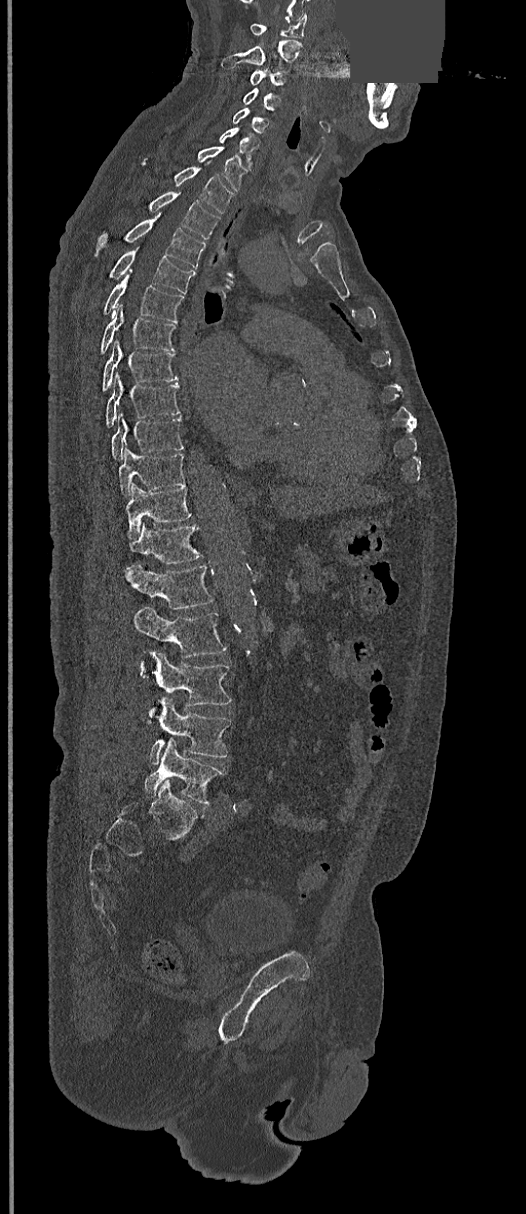 CT spine; sagittal view; 526x1214 px; image width 368 mm; a region of this slice is masked with a uniform fill
<vertebrae><v name="L5" x1="144" y1="739" x2="225" y2="805"/><v name="L4" x1="148" y1="697" x2="230" y2="765"/><v name="L3" x1="148" y1="651" x2="232" y2="723"/><v name="L2" x1="132" y1="607" x2="226" y2="676"/><v name="L1" x1="125" y1="564" x2="213" y2="610"/><v name="T12" x1="129" y1="521" x2="201" y2="565"/><v name="T11" x1="125" y1="484" x2="192" y2="539"/><v name="T10" x1="118" y1="447" x2="185" y2="496"/><v name="T9" x1="111" y1="413" x2="183" y2="460"/><v name="T8" x1="104" y1="373" x2="180" y2="428"/><v name="T7" x1="102" y1="340" x2="178" y2="392"/><v name="T6" x1="99" y1="306" x2="176" y2="355"/><v name="T5" x1="103" y1="269" x2="185" y2="322"/><v name="T4" x1="109" y1="250" x2="194" y2="293"/><v name="T3" x1="94" y1="214" x2="206" y2="268"/><v name="T2" x1="148" y1="191" x2="220" y2="239"/><v name="T1" x1="171" y1="167" x2="233" y2="213"/><v name="C7" x1="197" y1="147" x2="244" y2="190"/><v name="C6" x1="219" y1="127" x2="259" y2="168"/><v name="C5" x1="231" y1="107" x2="270" y2="133"/><v name="C4" x1="242" y1="89" x2="280" y2="110"/><v name="C3" x1="250" y1="69" x2="285" y2="88"/><v name="C2" x1="221" y1="40" x2="302" y2="67"/><v name="C1" x1="250" y1="13" x2="306" y2="38"/></vertebrae>